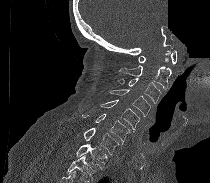 CT; sagittal view; bone window; 210 mm wide; part of the image is constant black where the scan was masked. Bounding boxes as [x1, y1, x2, y2] in pixel coordinates.
Vertebrae that run past the bottom of the scan are left unlabeled.
C1: [138, 50, 176, 64]
C2: [119, 52, 171, 89]
C3: [118, 78, 161, 103]
C4: [109, 89, 151, 116]
C5: [100, 100, 139, 131]
C6: [81, 113, 131, 145]
C7: [84, 127, 119, 154]
T1: [76, 143, 108, 170]